CT, spine; sagittal reformat
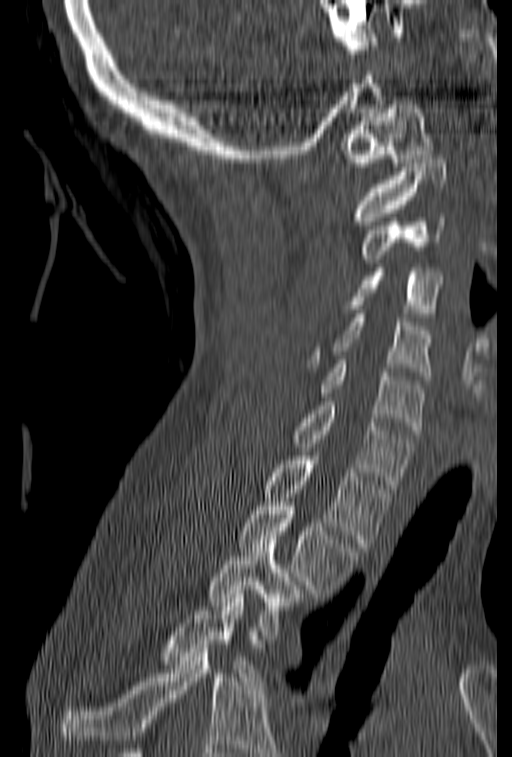
Each box given as x1,y1,x2,y2.
No box is given to a vertebra that the bottom edge of the scan cuts off.
Vertebra bounding boxes:
- T4: x1=162, y1=590, x2=262, y2=685
- T3: x1=207, y1=535, x2=304, y2=639
- T2: x1=239, y1=502, x2=358, y2=593
- T1: x1=265, y1=452, x2=392, y2=547
- C7: x1=292, y1=397, x2=412, y2=488
- C6: x1=318, y1=360, x2=425, y2=434
- C5: x1=307, y1=314, x2=432, y2=380
- C4: x1=349, y1=268, x2=442, y2=317
- C3: x1=361, y1=213, x2=445, y2=263
- C2: x1=353, y1=159, x2=445, y2=225
- C1: x1=340, y1=100, x2=433, y2=171